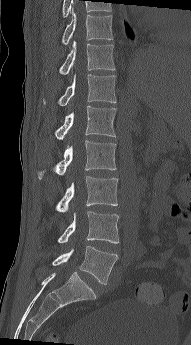

CT, spine — sagittal view — 191 mm across the image
Boxes below are [x1, y1, x2, y2] in pixels.
{"vertebrae":{"L5":[51,246,118,284],"L4":[57,211,119,243],"L3":[55,176,118,212],"L2":[37,140,116,179],"L1":[54,106,116,140],"T12":[43,74,116,106],"T11":[45,40,115,75],"T10":[61,6,113,45]}}